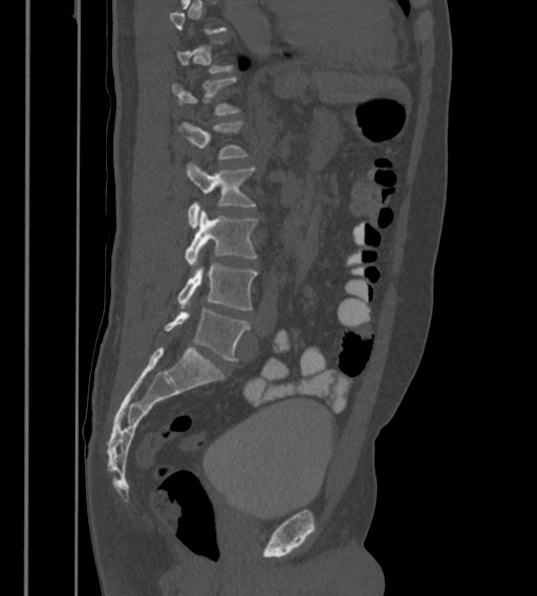 Spine CT · sagittal reformat. Coordinates as <box>x1,y1,x2,y2</box>.
Each vertebra is boxed only on the slices from the first to the last where its cross-section reaches a third of its largest, so a slice outside that range leaves it unboxed.
The labels name a sixth lumbar vertebra for this spine: L6, after L5.
L6: <box>165,309,250,360</box>
L5: <box>177,262,256,310</box>
L4: <box>185,207,256,266</box>
L3: <box>186,162,255,228</box>
L2: <box>178,122,245,159</box>